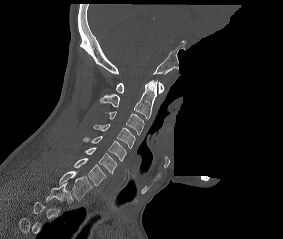

CT. sagittal view. 283 mm wide. part of the image is constant black where the scan was masked. Columns x1, y1, x2, y2 give each box's top-left and bottom-right pixels.
In this scan, the topmost labeled vertebra is C1 and the lowest is T2.
| vertebra | x1 | y1 | x2 | y2 |
|---|---|---|---|---|
| C1 | 116 | 82 | 164 | 94 |
| C2 | 100 | 80 | 157 | 119 |
| C3 | 104 | 111 | 144 | 135 |
| C4 | 93 | 124 | 135 | 148 |
| C5 | 83 | 136 | 127 | 161 |
| C6 | 84 | 147 | 117 | 174 |
| C7 | 74 | 158 | 106 | 185 |
| T1 | 59 | 171 | 91 | 200 |
| T2 | 45 | 182 | 73 | 203 |